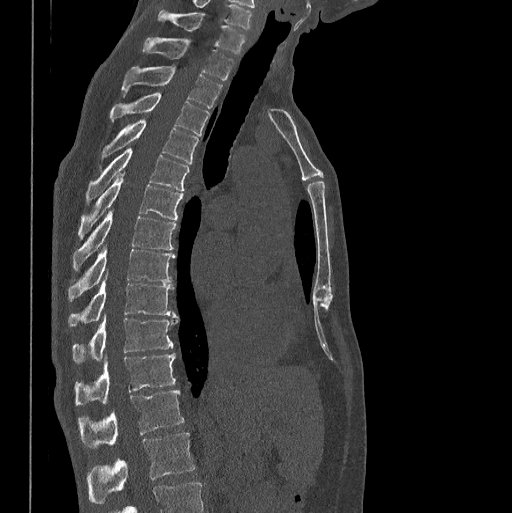 Spine computed tomography · sagittal view. Box edges are left/top/right/bottom in pixels.
| vertebra | x1 | y1 | x2 | y2 |
|---|---|---|---|---|
| C7 | 157 | 10 | 245 | 53 |
| T1 | 141 | 37 | 233 | 80 |
| T2 | 122 | 65 | 221 | 108 |
| T3 | 110 | 93 | 209 | 134 |
| T4 | 100 | 119 | 198 | 169 |
| T5 | 86 | 147 | 189 | 203 |
| T6 | 78 | 174 | 183 | 238 |
| T7 | 73 | 211 | 175 | 270 |
| T8 | 68 | 245 | 175 | 301 |
| T9 | 68 | 273 | 176 | 327 |
| T10 | 73 | 315 | 178 | 363 |
| T11 | 74 | 353 | 175 | 404 |
| T12 | 78 | 389 | 184 | 447 |
| L1 | 87 | 432 | 194 | 503 |